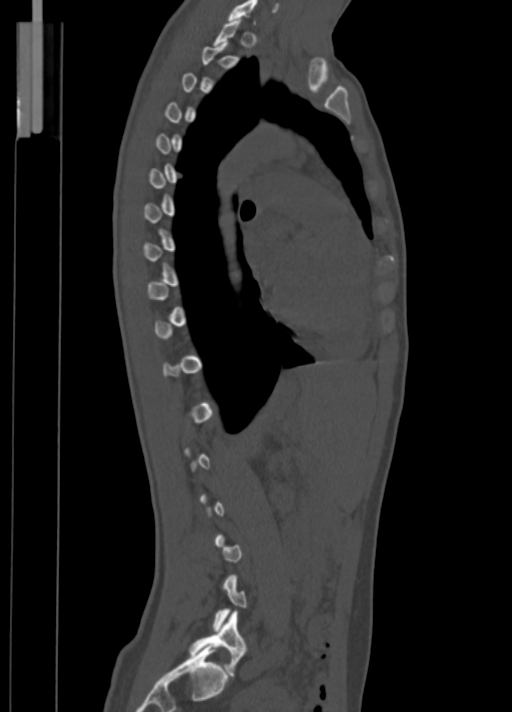
CT spine; sagittal view; 350 mm image width
Coordinates as <box>x1,y1,x2,y2</box>.
A vertebra gets a box only on the slices from the first to the last where its cross-section is at least a third of its largest; on a slice outside that range it gets none.
C7: <box>228,0,256,22</box>
L5: <box>190,611,246,676</box>